Spine CT · Sagittal slice 83/134 · bone-window reconstruction · 512x1459 px
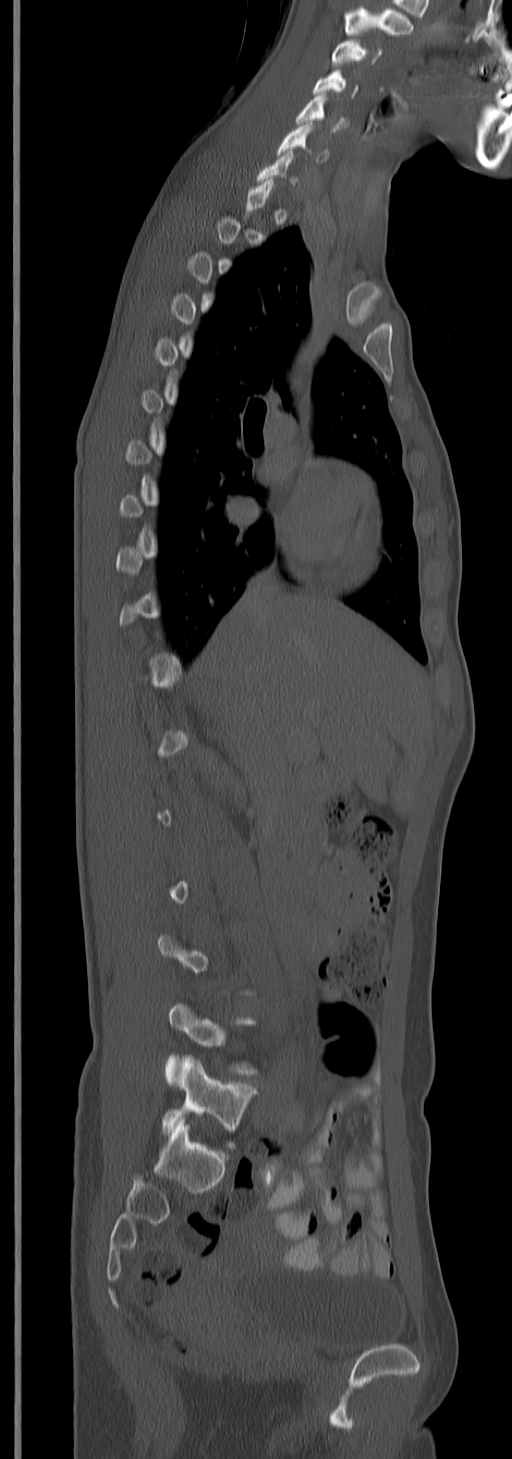

In the table, x1 and y1 are a box's top-left corner and x2 and y2 its bottom-right corner, in pixels.
A vertebra gets a box only on the slices from the first to the last where its cross-section is at least a third of its largest; on a slice outside that range it gets none.
This scan's labels start at C3 at the top and end at L5 at the bottom.
| vertebra | x1 | y1 | x2 | y2 |
|---|---|---|---|---|
| C3 | 331 | 38 | 382 | 66 |
| C4 | 314 | 72 | 357 | 96 |
| C5 | 295 | 95 | 344 | 131 |
| C6 | 276 | 124 | 328 | 163 |
| L5 | 161 | 1056 | 257 | 1147 |